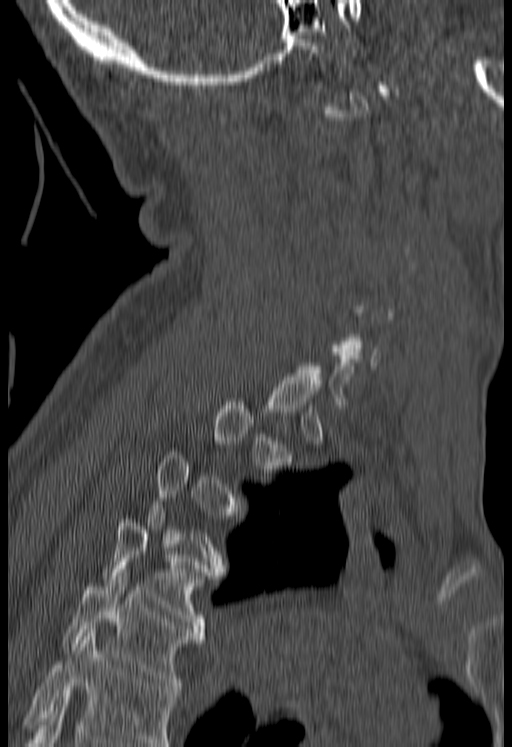 Computed tomography of the spine · sagittal reformat
Boxes are (x1, y1, x2, y2) in pixels.
A vertebra is boxed only from the first to the last slice where its cross-section is at least a third of its largest; slices outside that range leave it without a box.
Where the bottom of the scan cuts through a vertebra, that vertebra gets no label or box.
T5: (63, 569, 202, 689)
T4: (103, 516, 205, 635)